CT, spine; sagittal plane, index 265
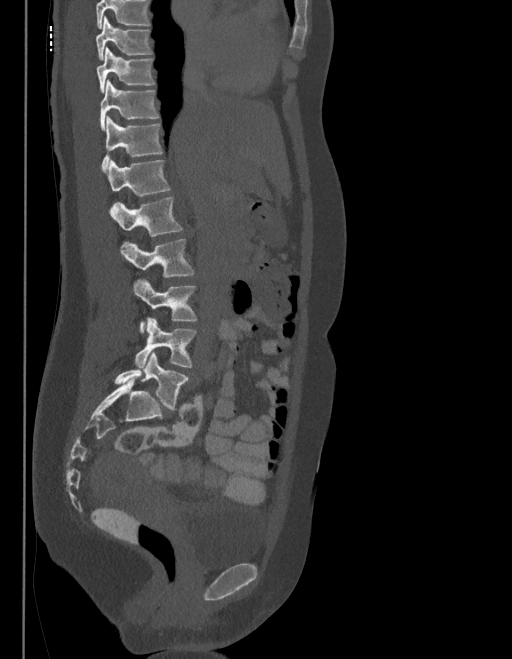

Each row gives a vertebra's box as x1, y1, x2, y2 in pixels: top-left corner, then bottom-right corner.
No box is given to a vertebra that the top edge of the scan cuts off.
These labels give the spine a sixth lumbar vertebra, L6, below L5.
| vertebra | x1 | y1 | x2 | y2 |
|---|---|---|---|---|
| T9 | 96 | 17 | 153 | 60 |
| T10 | 96 | 48 | 154 | 93 |
| T11 | 100 | 81 | 159 | 130 |
| T12 | 102 | 117 | 163 | 172 |
| L1 | 108 | 159 | 170 | 196 |
| L2 | 110 | 197 | 182 | 236 |
| L3 | 121 | 238 | 195 | 277 |
| L4 | 133 | 278 | 197 | 333 |
| L5 | 135 | 318 | 196 | 368 |
| L6 | 114 | 352 | 188 | 409 |